Computed tomography of the spine; sagittal view; Bone window (WL 400, WW 1800); 512x694 px; 12 vertebrae labeled in this scan
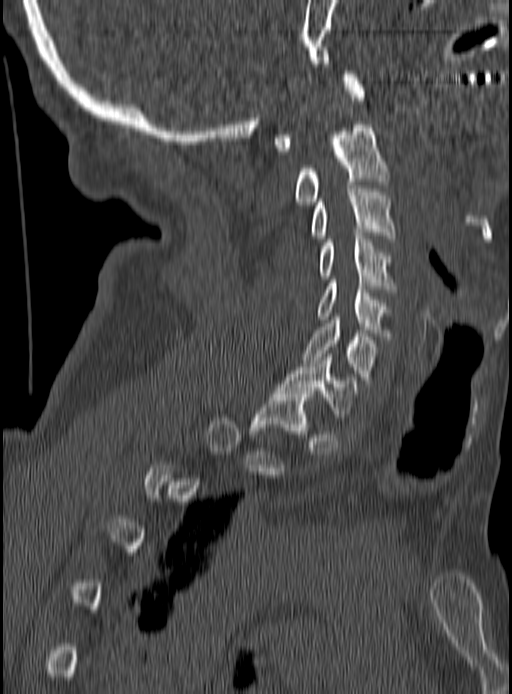 Boxes: x1 y1 x2 y2 (pixel coords, space-separated). Each vertebra is boxed only on the slices from the first to the last where its cross-section reaches a third of its largest, so a slice outside that range leaves it unboxed. 8 vertebrae labeled — C1 at 272 71 364 151; C2 at 295 121 391 204; C3 at 311 189 396 242; C4 at 319 232 396 292; C5 at 316 280 391 339; C6 at 303 317 377 383; C7 at 278 354 359 417; T1 at 249 391 312 440.